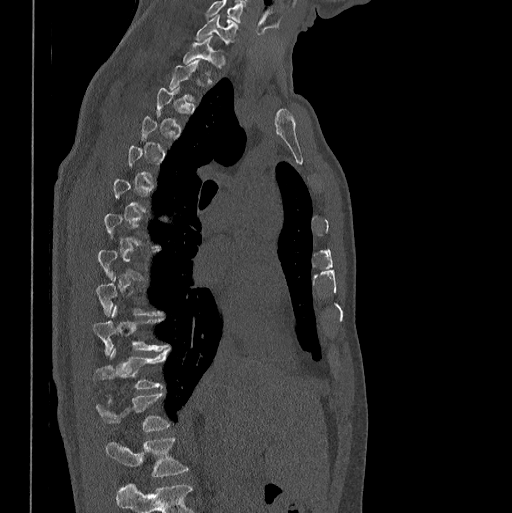

CT; sagittal view; bone-window reconstruction; 512x513 px
Boxes are (x1, y1, x2, y2) in pixels.
Not every vertebra on this slice has a box: a vertebra is boxed only from the first to the last slice where its cross-section is at least a third of its largest, and this slice is outside that range for at least one of them.
This scan's labels start at C7 at the top and end at L1 at the bottom.
C7: (195, 15, 237, 44)
T1: (184, 36, 224, 66)
T10: (92, 306, 169, 354)
T11: (94, 348, 169, 388)
L1: (105, 436, 188, 476)